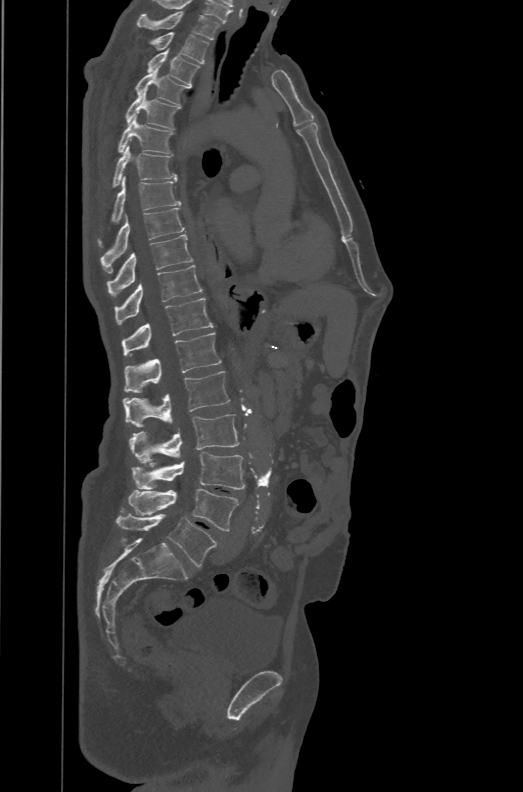

Computed tomography of the spine. sagittal reformat. the image spans 471 mm across. Bone window (WL 400, WW 1800)
Boxes are (x1, y1, x2, y2) in pixels.
The labels name a sixth lumbar vertebra for this spine: L6, after L5.
Vertebra bounding boxes:
- T1: (136, 11, 220, 40)
- T2: (151, 32, 209, 63)
- T3: (147, 48, 199, 86)
- T4: (136, 69, 190, 105)
- T5: (125, 91, 179, 129)
- T6: (118, 116, 173, 154)
- T7: (112, 144, 177, 187)
- T8: (97, 176, 180, 247)
- T9: (100, 208, 185, 273)
- T10: (106, 234, 192, 295)
- T11: (114, 265, 202, 324)
- T12: (123, 298, 213, 356)
- L1: (125, 332, 221, 392)
- L2: (123, 371, 230, 427)
- L3: (129, 414, 239, 462)
- L4: (131, 452, 244, 489)
- L5: (128, 489, 239, 531)
- L6: (116, 513, 217, 567)